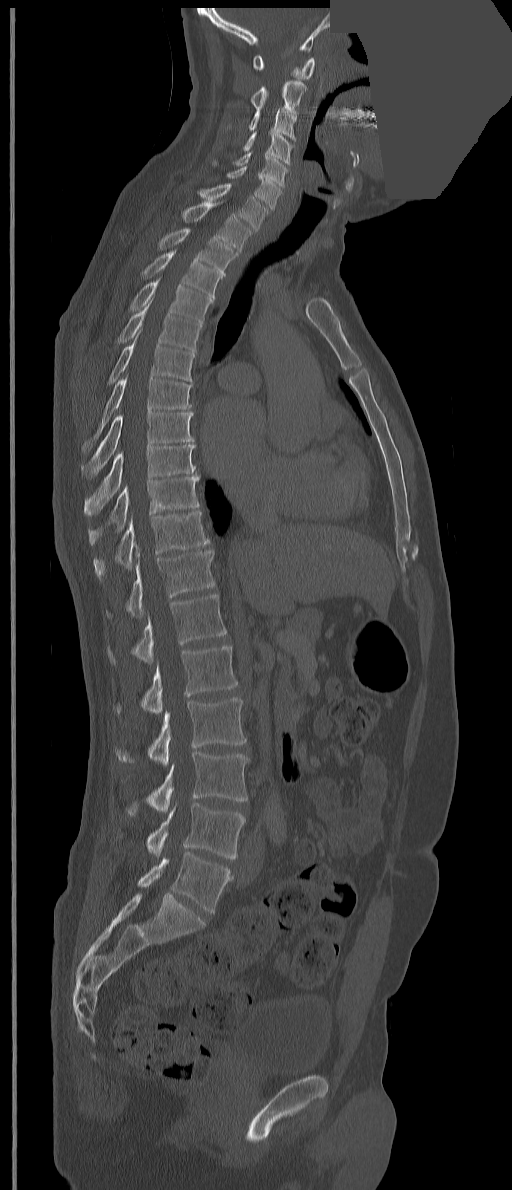

CT spine. sagittal view. bone window. a portion of the image is blanked out (constant pixel value)
Each box is [x1, y1, x2, y2] in pixels: top-left corner, then bottom-right corner.
The labels name an extra thoracic vertebra here, T13, which comes after T12 and before L1.
{"vertebrae":{"L5":[137,852,231,912],"L4":[146,804,244,858],"L3":[127,751,249,814],"L2":[117,697,246,765],"L1":[117,645,237,714],"T13":[108,594,227,663],"T12":[107,549,215,616],"T11":[94,511,209,580],"T10":[88,474,199,545],"T9":[83,445,196,515],"T8":[82,411,195,478],"T7":[80,373,192,453],"T6":[108,328,195,384],"T5":[117,296,202,352],"T4":[129,277,212,324],"T3":[140,249,222,298],"T2":[159,227,238,276],"T1":[183,199,252,252],"C7":[197,183,269,230],"C6":[227,166,281,210],"C5":[212,151,288,187],"C4":[243,130,294,165],"C3":[248,108,297,141],"C2":[250,80,307,114],"C1":[253,55,314,79]}}